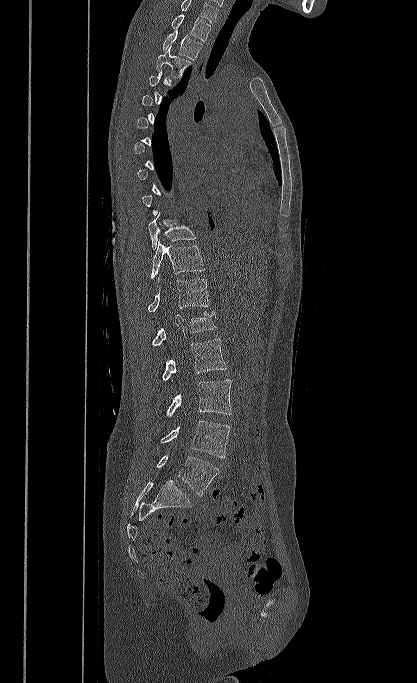

Spine CT. image 417 mm wide. sagittal view. 417x683 px. Each row gives a vertebra's box as x1, y1, x2, y2 in pixels: top-left corner, then bottom-right corner.
A vertebra gets a box only on the slices from the first to the last where its cross-section is at least a third of its largest; on a slice outside that range it gets none.
In this scan, the topmost labeled vertebra is T1 and the lowest is L5.
| vertebra | x1 | y1 | x2 | y2 |
|---|---|---|---|---|
| L5 | 156 | 455 | 219 | 495 |
| L4 | 160 | 420 | 230 | 457 |
| L3 | 166 | 378 | 231 | 416 |
| L2 | 162 | 338 | 227 | 380 |
| L1 | 151 | 311 | 215 | 346 |
| T12 | 147 | 279 | 208 | 311 |
| T11 | 150 | 241 | 204 | 279 |
| T10 | 147 | 212 | 196 | 250 |
| T3 | 156 | 46 | 191 | 77 |
| T2 | 163 | 30 | 202 | 60 |
| T1 | 171 | 14 | 210 | 41 |